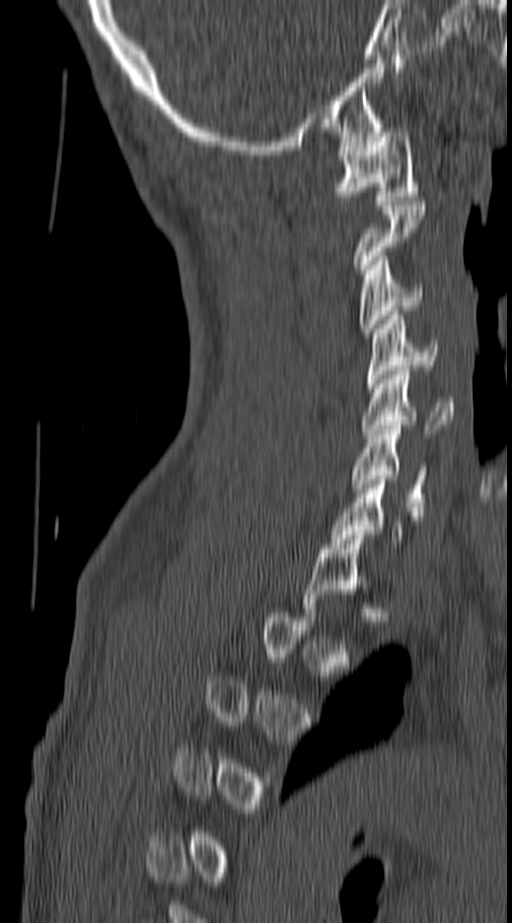 CT — sagittal view — image 140 mm wide. Columns x1, y1, x2, y2 give each box's top-left and bottom-right pixels.
A vertebra gets a box only on the slices from the first to the last where its cross-section is at least a third of its largest; on a slice outside that range it gets none.
| vertebra | x1 | y1 | x2 | y2 |
|---|---|---|---|---|
| C6 | 350 | 425 | 427 | 511 |
| C5 | 362 | 370 | 453 | 438 |
| C4 | 367 | 311 | 439 | 388 |
| C3 | 360 | 256 | 423 | 333 |
| C1 | 334 | 128 | 418 | 205 |